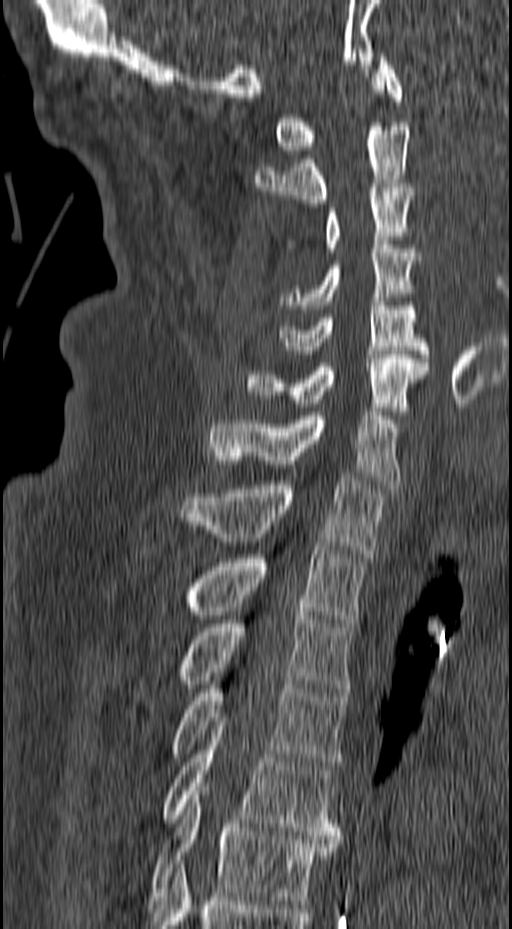

CT spine; sagittal view; Bone window (WL 400, WW 1800); 512x929 px. Boxes are (x1, y1, x2, y2) in pixels. 13 vertebrae labeled — C1 at (275, 53, 402, 154); C2 at (254, 122, 410, 203); C3 at (287, 188, 422, 252); C4 at (278, 241, 421, 309); C5 at (271, 302, 429, 358); C6 at (245, 355, 428, 419); C7 at (207, 412, 401, 488); T1 at (181, 477, 385, 557); T2 at (187, 546, 365, 627); T3 at (180, 607, 352, 692); T4 at (173, 677, 349, 769); T5 at (160, 726, 341, 839); T6 at (149, 787, 339, 904).